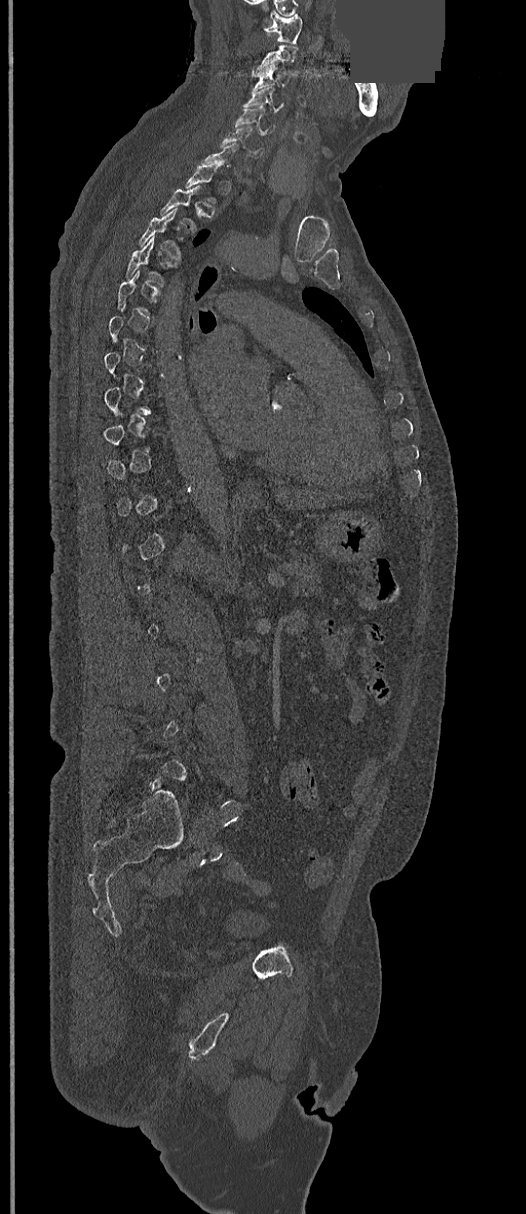

CT. sagittal reformat. 526x1214 px. a region of this slice is masked with a uniform fill
Boxes are (x1, y1, x2, y2) in pixels. A vertebra is boxed only from the first to the last slice where its cross-section is at least a third of its largest; slices outside that range leave it without a box. The labeled vertebrae in this slice are: C1 at (264, 11, 302, 44), C3 at (253, 63, 291, 88), C4 at (244, 87, 277, 112), C5 at (235, 106, 276, 133), C6 at (220, 126, 264, 157), T3 at (139, 208, 180, 259), T4 at (125, 237, 176, 283).